CT. Sagittal slice 121/168. image width 168 mm. bone window
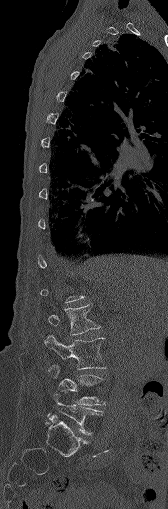

Boxes: x1 y1 x2 y2 (pixel coords, space-separated).
A vertebra is boxed only from the first to the last slice where its cross-section is at least a third of its largest; slices outside that range leave it without a box.
L2: 48 305 100 334
L3: 45 335 105 369
L4: 49 365 102 404
L5: 46 395 102 434